Spine computed tomography — sagittal reformat — W/L 1800/400 HU — 778x1351 px
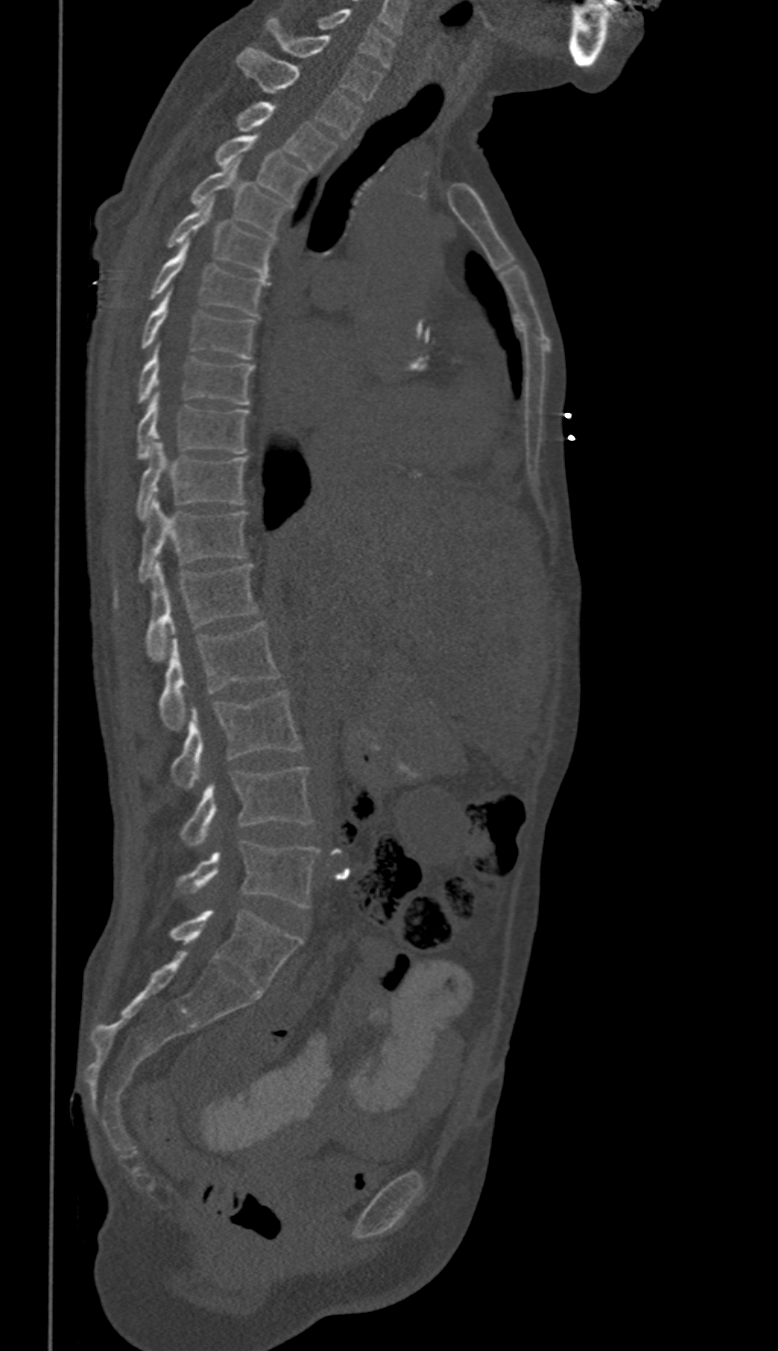 Box edges are left/top/right/bottom in pixels.
In these labels the spine has no T12: the thoracic vertebrae end at T11, and L1 comes next.
C6: left=317, top=8, right=394, bottom=68
C7: left=266, top=18, right=380, bottom=99
T1: left=237, top=47, right=361, bottom=137
T2: left=235, top=100, right=336, bottom=168
T3: left=216, top=134, right=307, bottom=202
T4: left=191, top=160, right=288, bottom=235
T5: left=166, top=198, right=274, bottom=277
T6: left=150, top=240, right=265, bottom=315
T7: left=141, top=294, right=254, bottom=359
T8: left=137, top=349, right=253, bottom=404
T9: left=137, top=394, right=248, bottom=459
T10: left=137, top=440, right=248, bottom=519
T11: left=140, top=498, right=245, bottom=582
L1: left=146, top=563, right=256, bottom=659
L2: left=160, top=620, right=279, bottom=728
L3: left=170, top=689, right=301, bottom=788
L4: left=179, top=767, right=312, bottom=846
L5: left=178, top=840, right=318, bottom=908